Spine CT. sagittal plane, index 261. bone-window reconstruction. 512x425 px
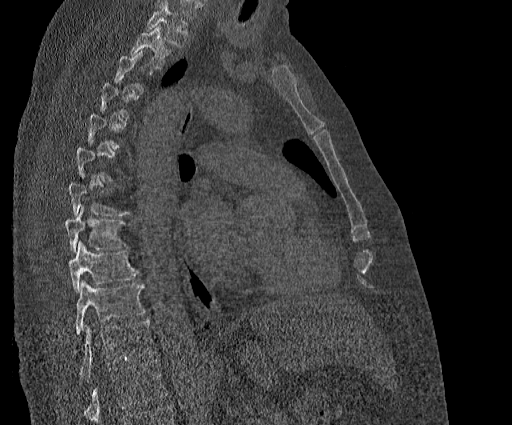 Boxes: x1 y1 x2 y2 (pixel coords, space-separated). A vertebra gets a box only on the slices from the first to the last where its cross-section is at least a third of its largest; on a slice outside that range it gets none. Vertebrae that run past the top of the scan are left unlabeled. This scan's labels start at T2 at the top and end at T11 at the bottom. 5 vertebrae labeled — T11 at 80 320 156 379; T10 at 76 281 144 334; T9 at 68 241 139 291; T8 at 64 207 124 252; T2 at 130 25 172 67.